CT spine; sagittal view; bone window; the image is 187 mm wide
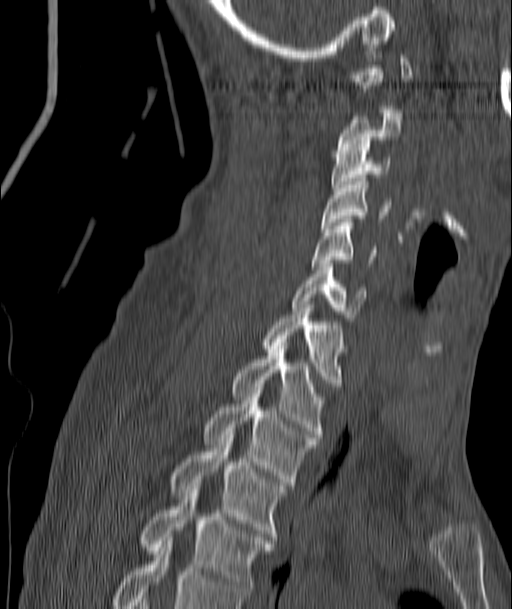 Each vertebra is boxed only on the slices from the first to the last where its cross-section reaches a third of its largest, so a slice outside that range leaves it unboxed.
<vertebrae><v name="T4" x1="141" y1="489" x2="274" y2="595"/><v name="T3" x1="171" y1="435" x2="285" y2="540"/><v name="T2" x1="203" y1="390" x2="317" y2="485"/><v name="T1" x1="231" y1="339" x2="323" y2="437"/><v name="C7" x1="264" y1="305" x2="342" y2="386"/><v name="C6" x1="291" y1="264" x2="367" y2="317"/><v name="C5" x1="310" y1="219" x2="375" y2="266"/><v name="C4" x1="321" y1="178" x2="389" y2="228"/><v name="C3" x1="332" y1="144" x2="389" y2="191"/></vertebrae>